CT; sagittal plane, index 67; scan covers 16 annotated vertebrae
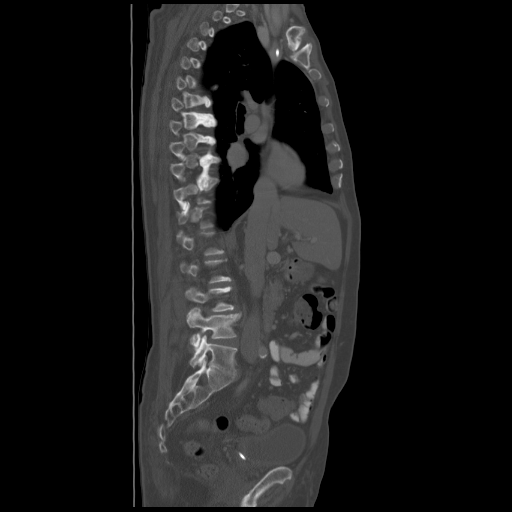 Each vertebra maps to its box as [x1, y1, x2, y2], the pixel coordinates of its top-left and bottom-right corners.
A vertebra gets a box only on the slices from the first to the last where its cross-section is at least a third of its largest; on a slice outside that range it gets none.
{"vertebrae":{"L5":[190,335,237,374],"L4":[187,307,240,348],"L3":[185,287,234,311],"T12":[177,201,212,228],"T11":[173,181,216,209],"T10":[171,158,218,183],"T9":[169,139,218,159],"T8":[170,120,216,139]}}